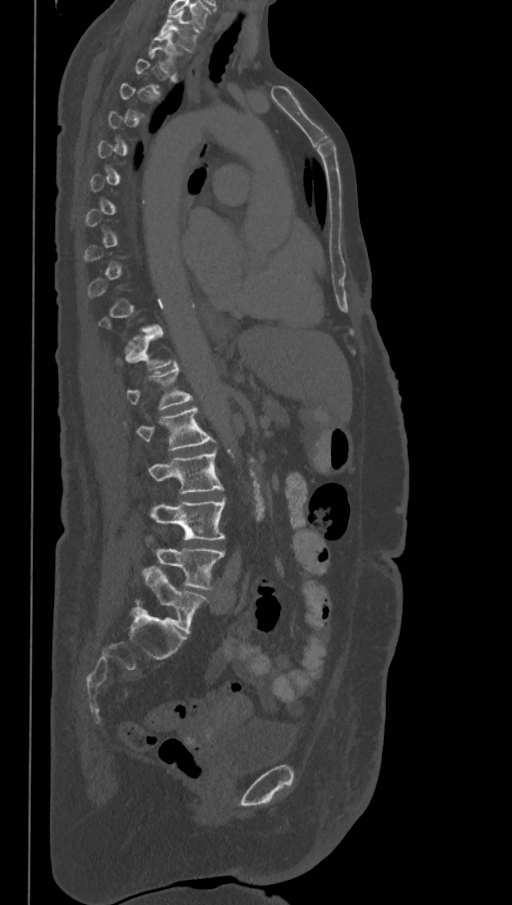

CT. sagittal view. W/L 1800/400 HU. 512x905 px. 368 mm wide. Boxes: x1 y1 x2 y2 (pixel coords, space-separated).
Each vertebra is boxed only on the slices from the first to the last where its cross-section reaches a third of its largest, so a slice outside that range leaves it unboxed.
These labels give the spine a sixth lumbar vertebra, L6, below L5.
Vertebra bounding boxes:
- T1: 158 11 199 50
- L2: 138 406 214 451
- L3: 149 451 223 494
- L4: 151 498 226 540
- L5: 157 548 224 589
- L6: 140 566 207 633